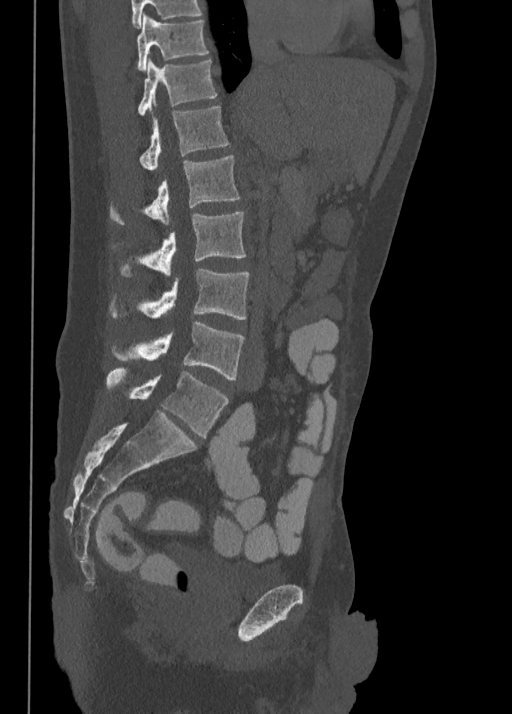 Spine computed tomography · sagittal reformat · bone-window reconstruction · image width 350 mm
In the table, x1 and y1 are a box's top-left corner and x2 and y2 its bottom-right corner, in pixels.
| vertebra | x1 | y1 | x2 | y2 |
|---|---|---|---|---|
| L5 | 107 | 369 | 228 | 437 |
| L4 | 113 | 321 | 245 | 379 |
| L3 | 109 | 269 | 249 | 319 |
| L2 | 122 | 212 | 246 | 277 |
| L1 | 111 | 155 | 240 | 224 |
| T12 | 140 | 105 | 228 | 170 |
| T11 | 137 | 59 | 217 | 114 |
| T10 | 137 | 14 | 208 | 70 |